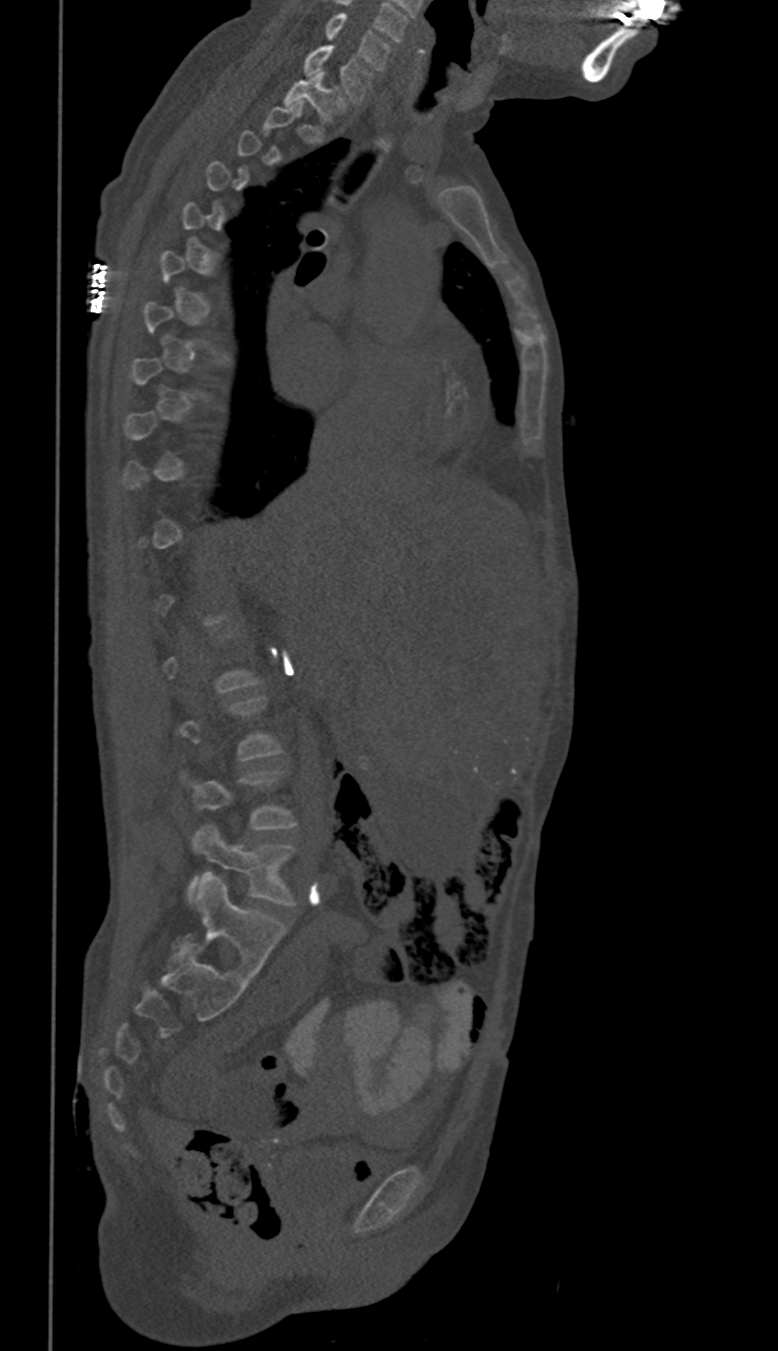 Spine CT; sagittal view

Boxes are (x1, y1, x2, y2) in pixels.
A vertebra gets a box only on the slices from the first to the last where its cross-section is at least a third of its largest; on a slice outside that range it gets none.
Vertebra bounding boxes:
- C6: (324, 14, 389, 71)
- C7: (304, 45, 373, 102)
- T1: (284, 72, 344, 119)
- L5: (188, 823, 294, 904)